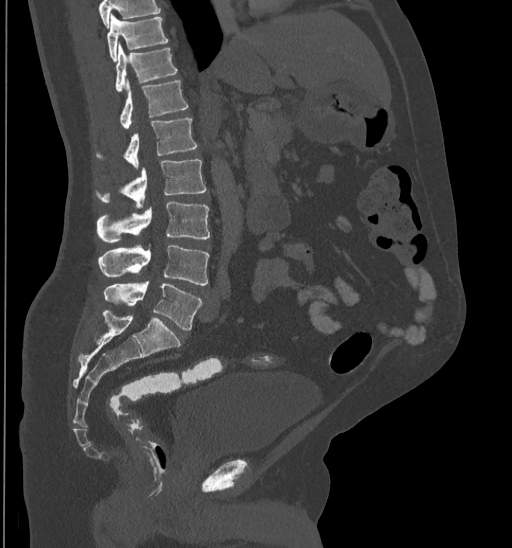
Computed tomography of the spine — sagittal reformat — bone-window reconstruction — 512x548 px — 435 mm across the image
Each box is [x1, y1, x2, y2] in pixels: top-left corner, then bottom-right corner.
No box is given to a vertebra that the top edge of the scan cuts off.
{"vertebrae":{"T10":[107,15,168,60],"T11":[115,43,177,91],"T12":[120,79,187,128],"L1":[125,119,197,168],"L2":[101,159,206,209],"L3":[98,201,210,242],"L4":[99,246,210,285],"L5":[103,281,201,331]}}